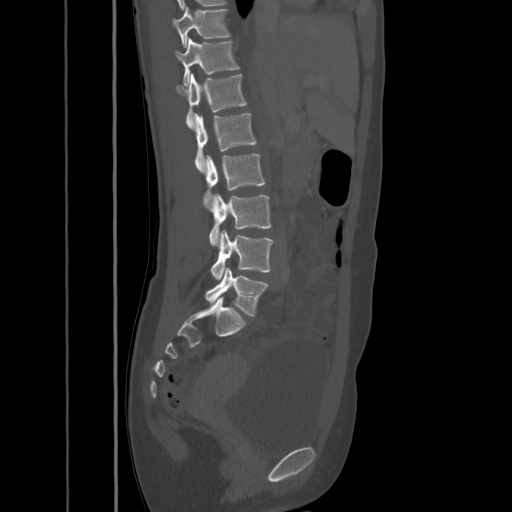
Computed tomography of the spine; sagittal view; W/L 1800/400 HU
<vertebrae><v name="T10" x1="172" y1="6" x2="230" y2="47"/><v name="T11" x1="175" y1="39" x2="239" y2="86"/><v name="T12" x1="176" y1="74" x2="246" y2="128"/><v name="L1" x1="194" y1="113" x2="256" y2="171"/><v name="L2" x1="202" y1="153" x2="265" y2="209"/><v name="L3" x1="209" y1="194" x2="271" y2="246"/><v name="L4" x1="211" y1="230" x2="274" y2="280"/><v name="L5" x1="205" y1="268" x2="268" y2="316"/></vertebrae>